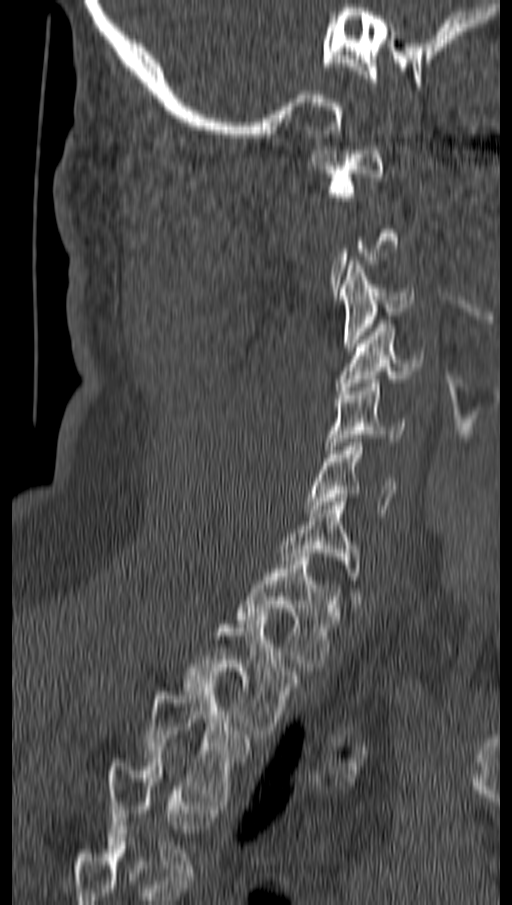

Spine computed tomography. sagittal view. bone-window reconstruction. 512x905 px. In the table, x1 and y1 are a box's top-left corner and x2 and y2 its bottom-right corner, in pixels.
Not every vertebra on this slice has a box: a vertebra is boxed only from the first to the last slice where its cross-section is at least a third of its largest, and this slice is outside that range for at least one of them.
The highest labeled vertebra in this scan is C1; the lowest is T4.
| vertebra | x1 | y1 | x2 | y2 |
|---|---|---|---|---|
| C1 | 311 | 146 | 386 | 200 |
| C3 | 339 | 261 | 414 | 351 |
| C4 | 336 | 324 | 423 | 390 |
| C5 | 327 | 379 | 405 | 453 |
| C6 | 304 | 439 | 397 | 513 |
| C7 | 279 | 498 | 357 | 576 |
| T1 | 238 | 557 | 335 | 671 |
| T2 | 184 | 616 | 297 | 734 |
| T3 | 146 | 683 | 247 | 801 |
| T4 | 105 | 759 | 212 | 872 |